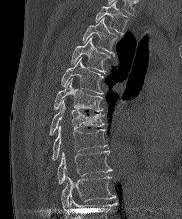
CT, spine. sagittal view

Box values are [left, top, right, bottom] in pixels.
The highest labeled vertebra in this scan is T2; the lowest is T10.
{"vertebrae":{"T2":[95,1,128,33],"T3":[82,18,118,56],"T4":[71,37,109,73],"T5":[61,57,103,94],"T6":[54,79,102,111],"T7":[50,100,104,134],"T8":[52,125,106,159],"T9":[57,151,112,183],"T10":[61,176,114,208]}}